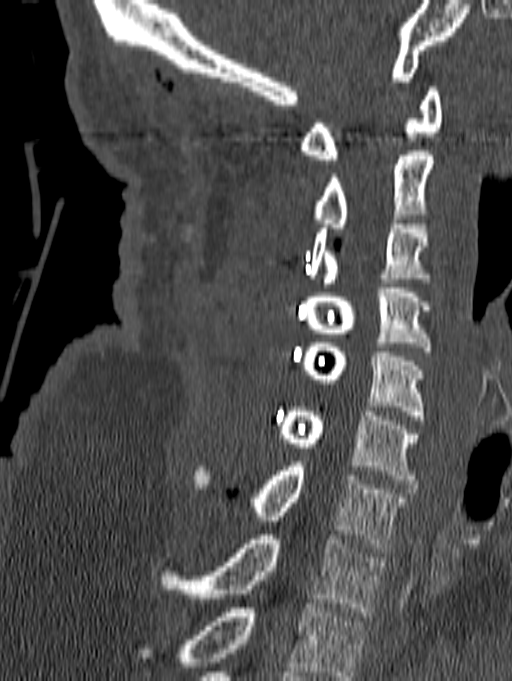
Spine computed tomography; sagittal view; bone-window reconstruction; 512x681 px

In this scan, the topmost labeled vertebra is C1 and the lowest is T1.
<vertebrae><v name="T1" x1="159" y1="535" x2="384" y2="616"/><v name="C7" x1="195" y1="462" x2="410" y2="552"/><v name="C6" x1="279" y1="407" x2="417" y2="484"/><v name="C5" x1="301" y1="338" x2="425" y2="424"/><v name="C4" x1="305" y1="288" x2="432" y2="356"/><v name="C3" x1="309" y1="219" x2="432" y2="287"/><v name="C2" x1="309" y1="151" x2="433" y2="232"/><v name="C1" x1="300" y1="87" x2="441" y2="164"/></vertebrae>